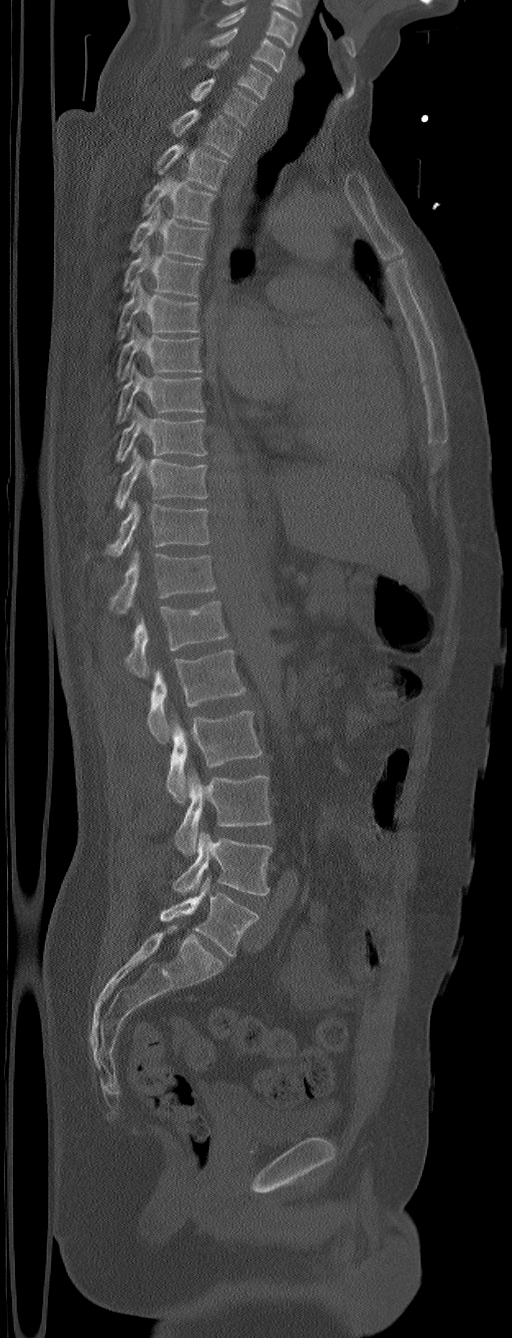

CT, spine; 305 mm across the image; sagittal view; bone window

Labels in this scan begin with C5 at the top and end with L6 at the bottom.
These labels give the spine a sixth lumbar vertebra, L6, below L5.
<vertebrae><v name="C5" x1="208" y1="27" x2="285" y2="72"/><v name="C6" x1="183" y1="51" x2="273" y2="98"/><v name="C7" x1="190" y1="78" x2="258" y2="125"/><v name="T1" x1="172" y1="109" x2="241" y2="157"/><v name="T2" x1="156" y1="144" x2="228" y2="189"/><v name="T3" x1="142" y1="177" x2="214" y2="224"/><v name="T4" x1="129" y1="206" x2="209" y2="260"/><v name="T5" x1="123" y1="245" x2="201" y2="296"/><v name="T6" x1="117" y1="277" x2="199" y2="339"/><v name="T7" x1="116" y1="324" x2="201" y2="381"/><v name="T8" x1="116" y1="364" x2="204" y2="423"/><v name="T9" x1="116" y1="404" x2="207" y2="461"/><v name="T10" x1="114" y1="447" x2="207" y2="510"/><v name="T11" x1="106" y1="501" x2="209" y2="557"/><v name="T12" x1="109" y1="549" x2="216" y2="614"/><v name="L1" x1="125" y1="601" x2="228" y2="678"/><v name="L2" x1="146" y1="648" x2="246" y2="741"/><v name="L3" x1="167" y1="710" x2="263" y2="802"/><v name="L4" x1="175" y1="769" x2="271" y2="856"/><v name="L5" x1="173" y1="830" x2="271" y2="896"/><v name="L6" x1="160" y1="877" x2="258" y2="956"/></vertebrae>